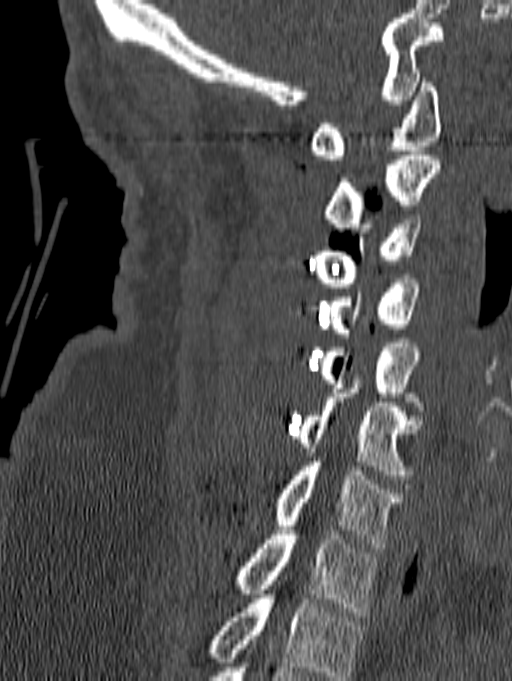

CT spine · sagittal reformat · 512x681 px
This scan's labels start at C1 at the top and end at T1 at the bottom.
<vertebrae><v name="T1" x1="235" y1="530" x2="378" y2="616"/><v name="C7" x1="276" y1="457" x2="403" y2="548"/><v name="C6" x1="298" y1="379" x2="422" y2="479"/><v name="C5" x1="319" y1="343" x2="419" y2="401"/><v name="C4" x1="329" y1="279" x2="420" y2="337"/><v name="C3" x1="314" y1="215" x2="421" y2="287"/><v name="C2" x1="324" y1="151" x2="441" y2="232"/><v name="C1" x1="309" y1="78" x2="441" y2="159"/></vertebrae>